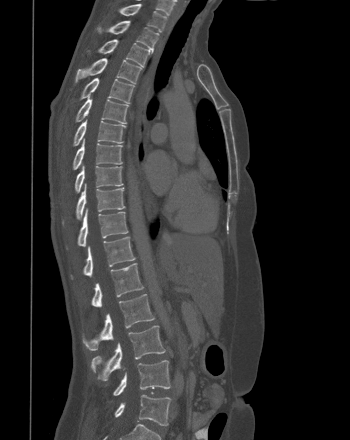
CT spine; sagittal view; 350x440 px; image width 350 mm
Boxes below are [x1, y1, x2, y2] in pixels.
{"vertebrae":{"L5":[114,395,170,426],"L4":[113,360,170,396],"L3":[91,325,165,380],"L2":[83,294,154,350],"L1":[91,263,143,307],"T12":[71,236,135,278],"T11":[77,209,128,246],"T10":[63,184,124,223],"T9":[75,165,123,192],"T8":[73,139,122,169],"T7":[73,119,126,145],"T6":[75,97,128,123],"T5":[80,78,134,103],"T4":[75,58,141,83],"T3":[98,39,150,65],"T2":[97,20,159,51],"T1":[120,4,166,31]}}